CT spine — sagittal view
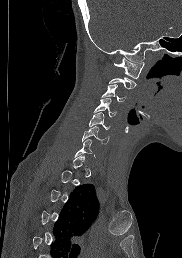
Each vertebra maps to its box as [x1, y1, x2, y2], the pixel coordinates of its top-left and bottom-right corners.
Each vertebra is boxed only on the slices from the first to the last where its cross-section reaches a third of its largest, so a slice outside that range leaves it unboxed.
{"vertebrae":{"C1":[114,57,144,78],"C3":[102,84,125,101],"C4":[94,98,116,117],"C5":[89,112,110,129],"C6":[82,126,109,144]}}